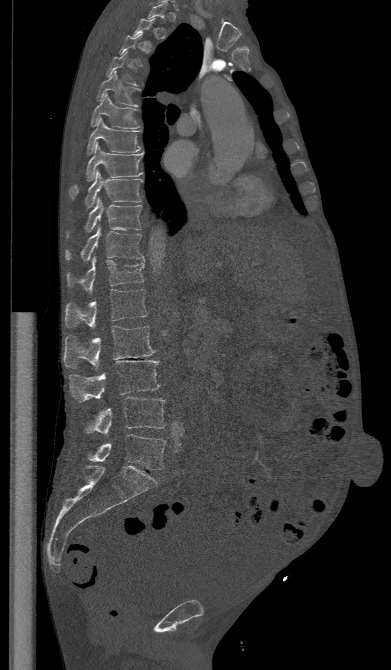

CT, spine · sagittal view · 391x670 px
Box edges are left/top/right/bottom in pixels.
Each vertebra is boxed only on the slices from the first to the last where its cross-section reaches a third of its largest, so a slice outside that range leaves it unboxed.
L5: left=86, top=434, right=166, bottom=469
L4: left=83, top=397, right=165, bottom=434
L3: left=69, top=360, right=159, bottom=401
L2: left=63, top=326, right=154, bottom=369
L1: left=65, top=289, right=147, bottom=328
T12: left=67, top=257, right=144, bottom=294
T11: left=65, top=225, right=145, bottom=262
T10: left=66, top=197, right=141, bottom=237
T9: left=85, top=170, right=143, bottom=207
T8: left=69, top=143, right=144, bottom=199
T7: left=87, top=118, right=140, bottom=155
T6: left=91, top=93, right=140, bottom=129
T5: left=95, top=70, right=141, bottom=106
T4: left=106, top=51, right=138, bottom=85